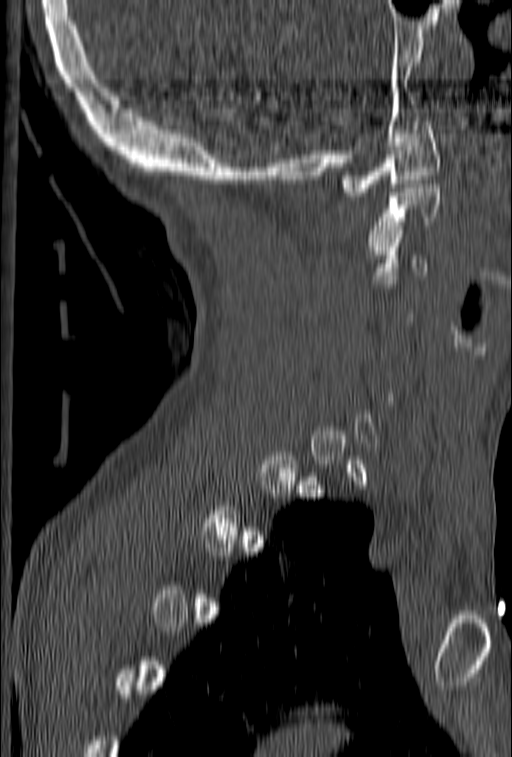

Computed tomography of the spine; 153 mm image width; sagittal reformat; Bone window (WL 400, WW 1800)

Each row gives a vertebra's box as x1, y1, x2, y2 in pixels: top-left corner, then bottom-right corner.
A vertebra gets a box only on the slices from the first to the last where its cross-section is at least a third of its largest; on a slice outside that range it gets none.
| vertebra | x1 | y1 | x2 | y2 |
|---|---|---|---|---|
| C1 | 338 | 121 | 441 | 196 |
| C2 | 369 | 180 | 439 | 250 |